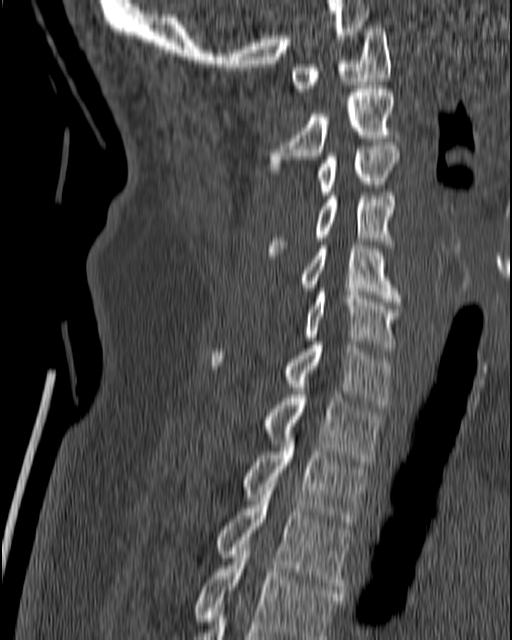
CT · sagittal reformat · 512x640 px
Bounding boxes as [x1, y1, x2, y2] in pixel coordinates.
C1: [291, 25, 390, 91]
C2: [265, 85, 397, 173]
C3: [317, 146, 399, 195]
C4: [267, 192, 393, 255]
C5: [270, 245, 401, 301]
C6: [302, 288, 401, 351]
C7: [211, 341, 392, 408]
T1: [263, 391, 381, 461]
T2: [240, 434, 367, 529]
T3: [214, 487, 353, 596]
T4: [192, 544, 344, 639]